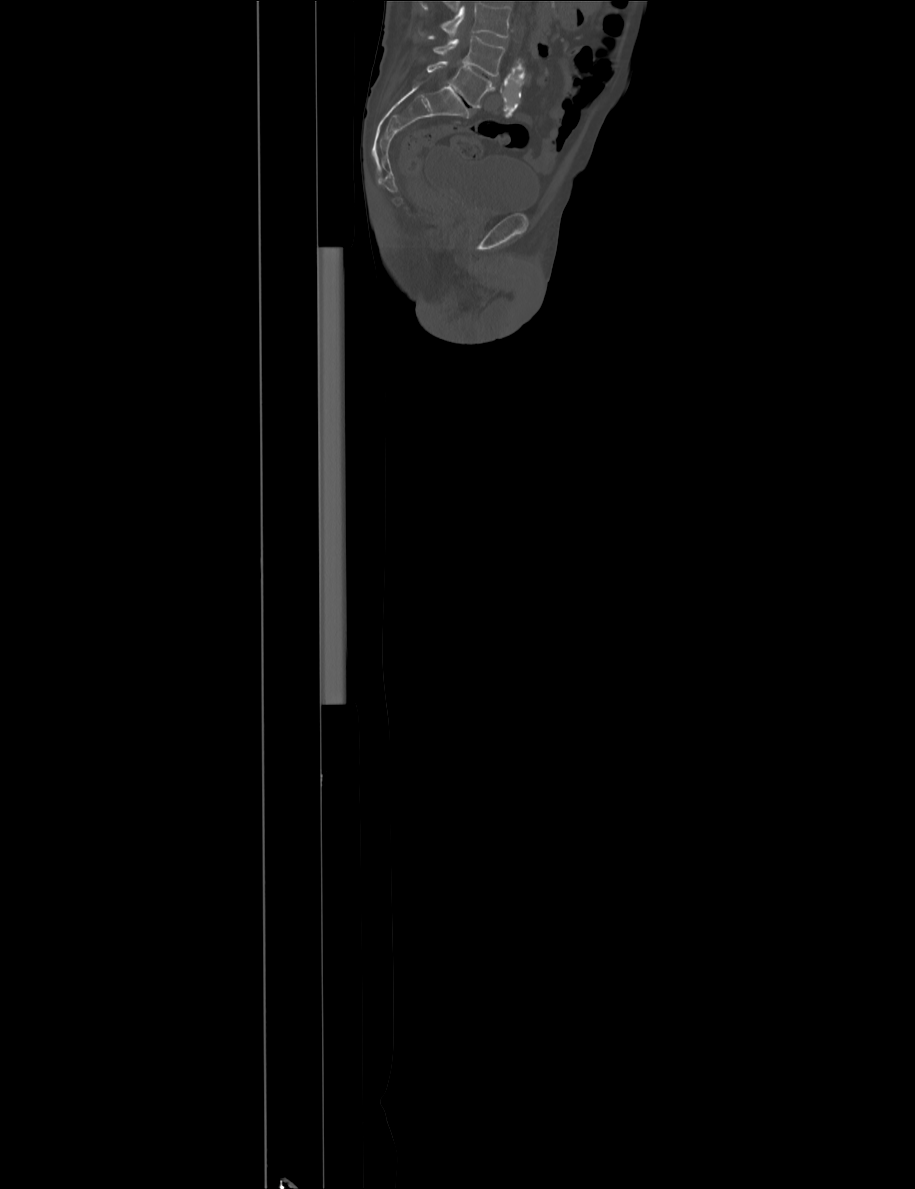
Spine computed tomography. sagittal reformat. bone-window reconstruction. Boxes are given in columns x1, y1, x2, y2, the pixel coordinates of their top-left and bottom-right corners.
Where the top of the scan cuts through a vertebra, that vertebra gets no label or box.
| vertebra | x1 | y1 | x2 | y2 |
|---|---|---|---|---|
| L4 | 433 | 37 | 505 | 76 |
| L5 | 426 | 61 | 495 | 107 |